CT; Sagittal slice 173/391; bone window
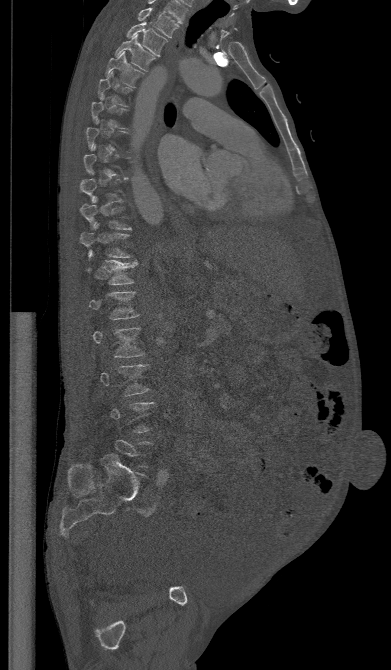 Boxes below are [x1, y1, x2, y2] in pixels.
A vertebra gets a box only on the slices from the first to the last where its cross-section is at least a third of its largest; on a slice outside that range it gets none.
{"vertebrae":{"T1":[138,8,179,38],"T2":[126,22,167,57],"T3":[115,35,155,71],"T4":[105,51,144,87],"T5":[98,71,132,106],"T10":[80,204,131,229],"T11":[79,223,130,257],"T12":[84,260,137,285],"L1":[88,292,139,320],"L2":[92,327,145,357],"L3":[100,364,149,396]}}